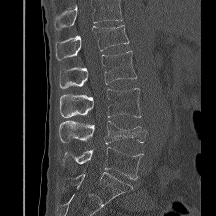

Spine CT — sagittal reformat — bone-window reconstruction. Columns x1, y1, x2, y2 give each box's top-left and bottom-right pixels.
No box is given to a vertebra that the top edge of the scan cuts off.
| vertebra | x1 | y1 | x2 | y2 |
|---|---|---|---|---|
| L1 | 55 | 25 | 129 | 60 |
| L2 | 59 | 51 | 136 | 88 |
| L3 | 59 | 88 | 141 | 117 |
| L4 | 58 | 120 | 146 | 144 |
| L5 | 63 | 147 | 143 | 179 |